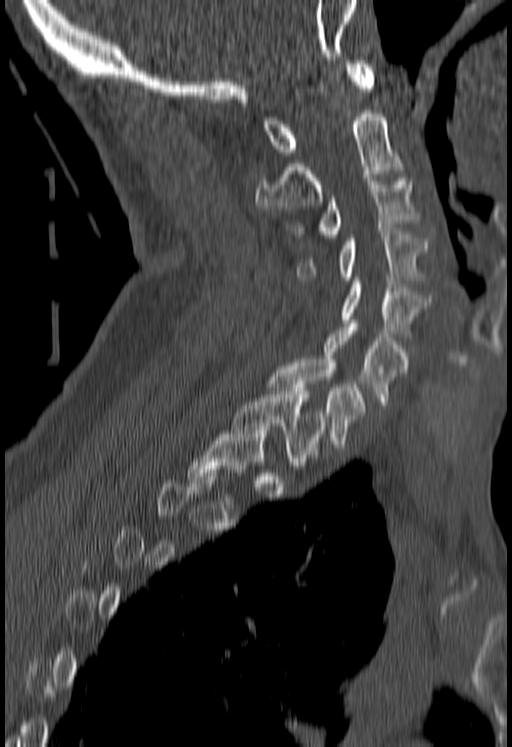 CT spine — sagittal view — 512x747 px. Boxes: x1 y1 x2 y2 (pixel coords, space-separated).
A vertebra is boxed only from the first to the last slice where its cross-section is at least a third of its largest; slices outside that range leave it without a box.
Vertebra bounding boxes:
- C1: 263 60 374 155
- C2: 254 110 404 209
- C3: 291 174 418 237
- C4: 298 231 429 283
- C5: 342 277 427 337
- C6: 324 324 410 404
- C7: 268 359 367 447
- T1: 232 391 325 465